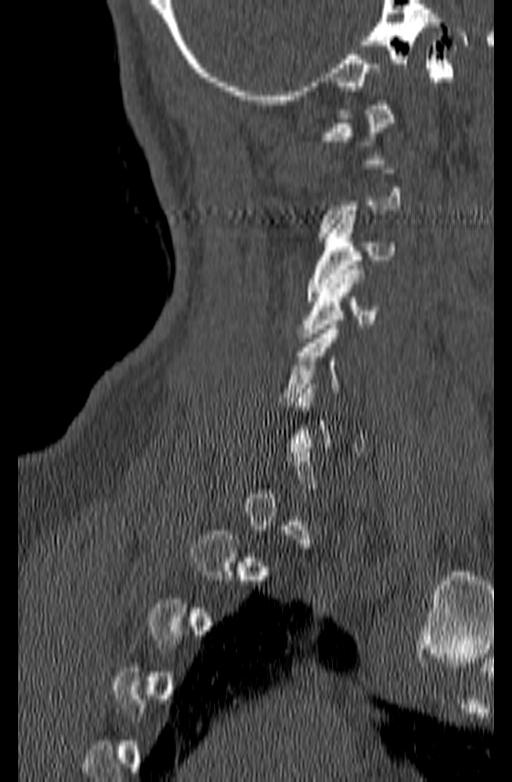
CT spine — sagittal view — bone window
Not every vertebra on this slice has a box: a vertebra is boxed only from the first to the last slice where its cross-section is at least a third of its largest, and this slice is outside that range for at least one of them.
<vertebrae><v name="C1" x1="321" y1="101" x2="395" y2="164"/><v name="C3" x1="307" y1="215" x2="395" y2="301"/><v name="C4" x1="299" y1="265" x2="377" y2="337"/><v name="C5" x1="277" y1="325" x2="341" y2="406"/></vertebrae>